Computed tomography of the spine; sagittal plane, index 92; 11 vertebrae labeled in this scan
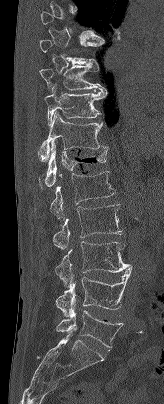
Boxes: x1 y1 x2 y2 (pixel coords, space-separated). A vertebra gets a box only on the slices from the first to the last where its cross-section is at least a third of its largest; on a slice outside that range it gets none. 9 vertebrae labeled — T9 at 39 64 106 91; T10 at 44 85 106 125; T11 at 38 111 108 161; T12 at 39 141 108 187; L1 at 50 170 115 219; L2 at 52 204 121 249; L3 at 55 241 132 285; L4 at 55 268 132 317; L5 at 56 305 123 348.